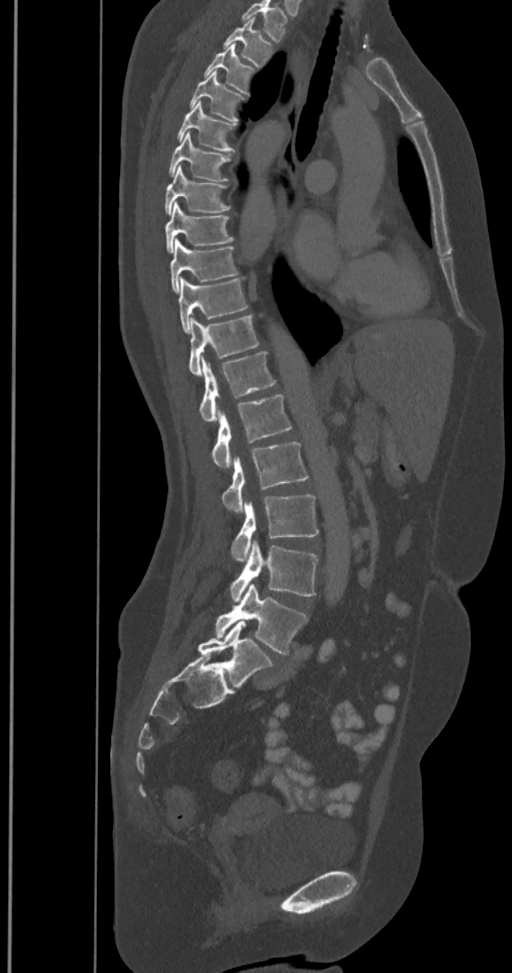 Computed tomography of the spine. sagittal view
Box edges are left/top/right/bottom in pixels.
In this scan, the topmost labeled vertebra is T2 and the lowest is L6.
In these labels the spine has an L6, a sixth lumbar vertebra below L5.
L6: left=197, top=621, right=274, bottom=688
L5: left=215, top=585, right=307, bottom=653
L4: left=229, top=541, right=318, bottom=602
L3: left=231, top=495, right=319, bottom=561
L2: left=222, top=442, right=307, bottom=512
L1: left=210, top=394, right=291, bottom=468
T12: left=199, top=352, right=275, bottom=422
T11: left=188, top=315, right=259, bottom=376
T10: left=178, top=278, right=247, bottom=333
T9: left=169, top=238, right=239, bottom=293
T8: left=165, top=203, right=234, bottom=252
T7: left=164, top=166, right=230, bottom=215
T6: left=168, top=132, right=231, bottom=181
T5: left=177, top=101, right=236, bottom=152
T4: left=188, top=71, right=246, bottom=124
T3: left=203, top=45, right=256, bottom=96
T2: left=224, top=18, right=274, bottom=66